Spine computed tomography. sagittal plane, index 222. 512x905 px. scan covers 11 annotated vertebrae
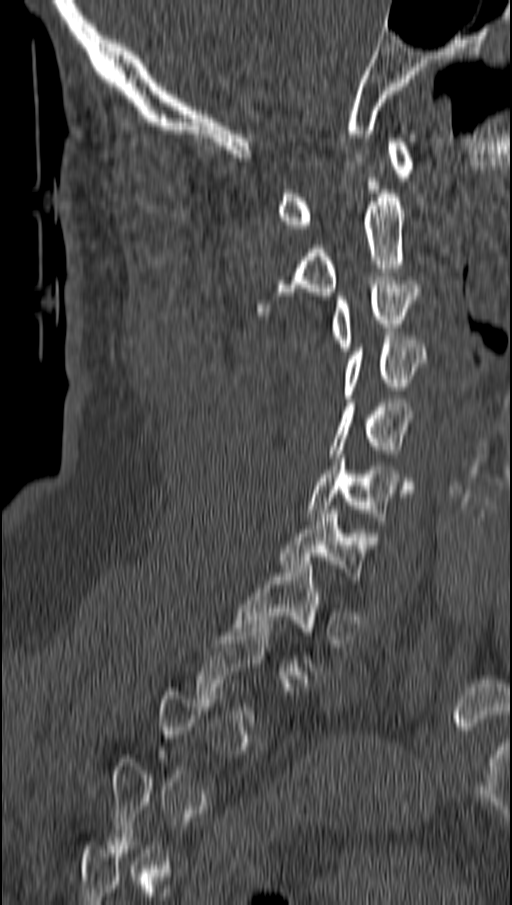

Boxes below are [x1, y1, x2, y2] in pixels.
A vertebra is boxed only from the first to the last slice where its cross-section is at least a third of its largest; slices outside that range leave it without a box.
{"vertebrae":{"T1":[232,561,322,675],"C7":[279,510,370,588],"C6":[308,458,415,524],"C5":[330,399,414,457],"C4":[342,336,427,398],"C3":[330,280,418,351],"C2":[257,190,405,315],"C1":[276,138,413,228]}}